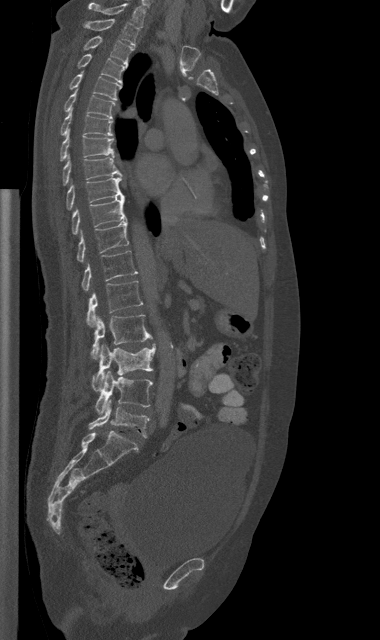

Spine CT · sagittal view
Boxes: x1:y1:x2:y2 in pixels. 18 vertebrae labeled — C7 at 88:2:145:27; T1 at 84:18:139:45; T2 at 84:35:134:65; T3 at 76:54:127:84; T4 at 69:73:121:100; T5 at 64:89:114:118; T6 at 60:110:112:135; T7 at 60:129:114:160; T8 at 62:155:122:185; T9 at 66:176:125:210; T10 at 71:198:127:234; T11 at 76:220:128:262; T12 at 81:251:137:291; L1 at 86:281:142:326; L2 at 91:315:152:359; L3 at 92:344:155:391; L4 at 95:371:152:414; L5 at 88:400:149:437.